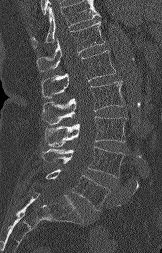

Spine computed tomography; sagittal view; bone-window reconstruction

Each row gives a vertebra's box as x1, y1, x2, y2 in pixels: top-left corner, then bottom-right corner.
A vertebra cut off by the top edge of the scan is not labeled and has no box.
| vertebra | x1 | y1 | x2 | y2 |
|---|---|---|---|---|
| L5 | 46 | 169 | 109 | 210 |
| L4 | 42 | 146 | 124 | 177 |
| L3 | 45 | 116 | 127 | 146 |
| L2 | 42 | 81 | 125 | 125 |
| L1 | 41 | 50 | 115 | 98 |
| T12 | 36 | 21 | 105 | 71 |